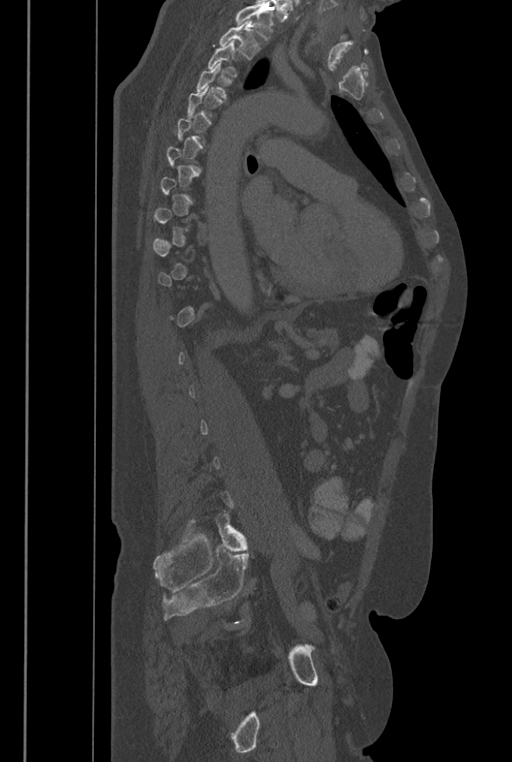
Computed tomography of the spine. sagittal view. bone-window reconstruction. 512x762 px
Coordinates as <box>x1,y1,x2,y2</box>.
Each vertebra is boxed only on the slices from the first to the last where its cross-section reaches a third of its largest, so a slice outside that range leaves it unboxed.
A vertebra cut off by the top edge of the scan is not labeled and has no box.
In these labels the spine has an L6, a sixth lumbar vertebra below L5.
Vertebra bounding boxes:
- T2: <box>218,21,261,59</box>
- T3: <box>208,40,241,76</box>
- T4: <box>196,62,226,98</box>
- L6: <box>215,511,247,551</box>